Spine computed tomography; sagittal plane, index 85; scan covers 24 annotated vertebrae; a uniform gray block covers part of the image
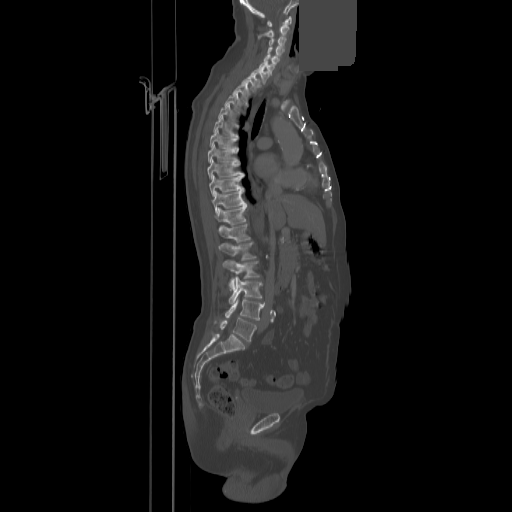 A vertebra gets a box only on the slices from the first to the last where its cross-section is at least a third of its largest; on a slice outside that range it gets none.
<vertebrae><v name="C1" x1="267" y1="16" x2="291" y2="26"/><v name="C2" x1="259" y1="25" x2="289" y2="37"/><v name="C3" x1="269" y1="37" x2="286" y2="46"/><v name="C4" x1="268" y1="47" x2="283" y2="56"/><v name="C5" x1="264" y1="54" x2="279" y2="64"/><v name="C6" x1="259" y1="62" x2="274" y2="71"/><v name="C7" x1="251" y1="67" x2="266" y2="83"/><v name="T1" x1="242" y1="74" x2="258" y2="91"/><v name="T2" x1="233" y1="82" x2="247" y2="100"/><v name="T3" x1="225" y1="93" x2="239" y2="110"/><v name="T4" x1="218" y1="104" x2="231" y2="120"/><v name="T6" x1="210" y1="130" x2="235" y2="148"/><v name="T7" x1="208" y1="145" x2="235" y2="162"/><v name="T8" x1="207" y1="160" x2="243" y2="178"/><v name="T9" x1="209" y1="175" x2="243" y2="196"/><v name="T10" x1="211" y1="188" x2="245" y2="212"/><v name="T11" x1="214" y1="204" x2="246" y2="225"/><v name="T12" x1="218" y1="223" x2="250" y2="242"/><v name="L1" x1="219" y1="242" x2="255" y2="259"/><v name="L2" x1="222" y1="260" x2="259" y2="290"/><v name="L3" x1="229" y1="277" x2="261" y2="304"/><v name="L4" x1="225" y1="297" x2="264" y2="320"/><v name="L5" x1="215" y1="317" x2="256" y2="342"/></vertebrae>